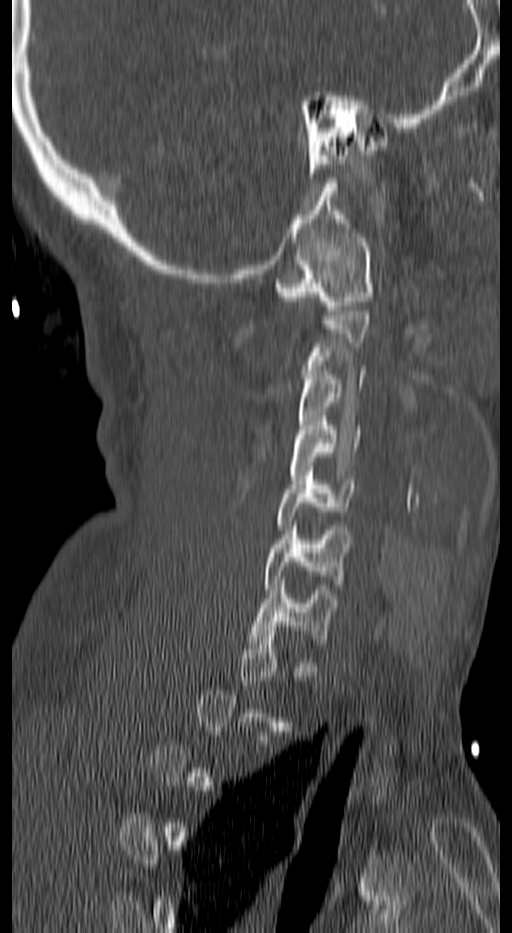
Spine computed tomography; sagittal view; 512x933 px; image 140 mm wide

Bounding boxes as [x1, y1, x2, y2] in pixel coordinates. A vertebra is boxed only from the first to the last slice where its cross-section is at least a third of its largest; slices outside that range leave it without a box. Vertebrae labeled: C7 at [250, 581, 337, 648], C6 at [265, 526, 348, 593], C5 at [276, 466, 355, 529], C4 at [290, 416, 359, 479], C3 at [297, 370, 366, 438], C1 at [276, 233, 373, 310].